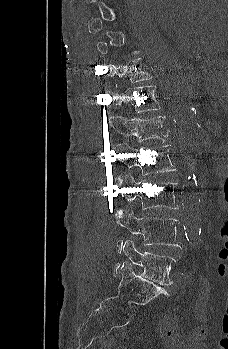
Computed tomography of the spine; sagittal view; W/L 1800/400 HU; 228x349 px

Boxes: x1:y1:x2:y2 in pixels. Each vertebra is boxed only on the slices from the first to the last where its cross-section reaches a third of its largest, so a slice outside that range leaves it unboxed. Vertebrae labeled: L5 at 113:239:175:285, L4 at 115:208:181:253, L3 at 115:173:179:210, L2 at 112:144:177:183, L1 at 109:115:168:143, T12 at 109:85:161:112, T11 at 108:58:152:84.